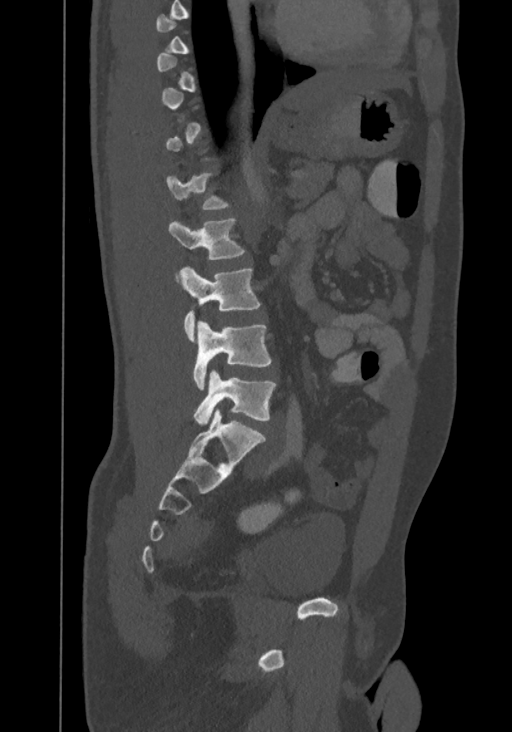 CT, spine; sagittal view; Bone window (WL 400, WW 1800). Boxes: x1:y1:x2:y2 in pixels.
A vertebra gets a box only on the slices from the first to the last where its cross-section is at least a third of its largest; on a slice outside that range it gets none.
Labels in this scan begin with T8 at the top and end with L4 at the bottom.
T12: 167:173:229:210
L1: 169:218:244:283
L2: 177:266:260:341
L3: 194:320:271:389
L4: 194:369:275:426